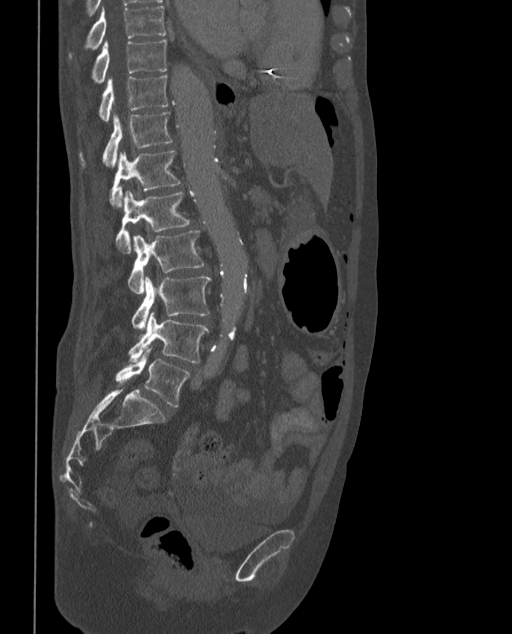
CT, spine. sagittal view. 373 mm image width
Each box is [x1, y1, x2, y2] in pixels: top-left corner, then bottom-right corner.
In these labels the spine has an L6, a sixth lumbar vertebra below L5.
{"vertebrae":{"T9":[70,5,167,56],"T10":[92,40,166,83],"T11":[99,75,168,121],"T12":[79,112,172,166],"L1":[110,151,180,208],"L2":[115,190,190,252],"L3":[127,230,205,294],"L4":[132,275,210,330],"L5":[129,311,207,362],"L6":[115,348,190,407]}}